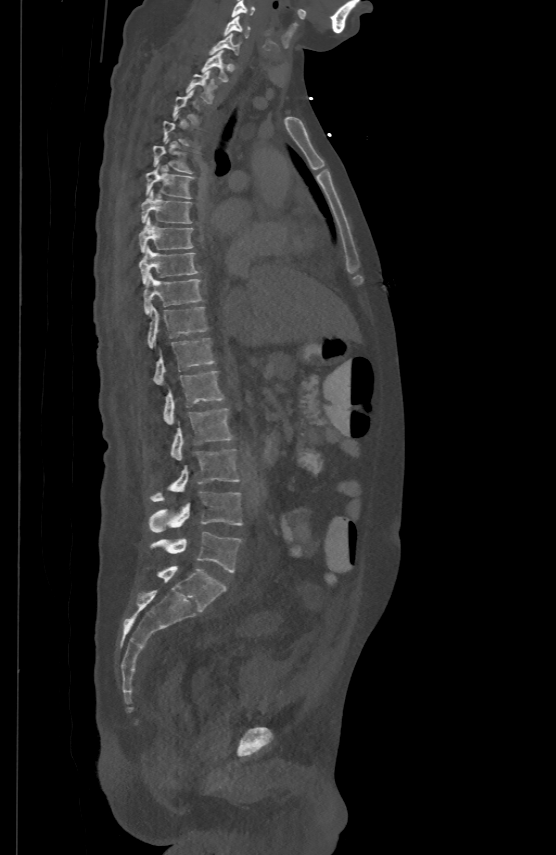 Spine computed tomography · the image is 500 mm wide · sagittal view · 556x855 px

Coordinates as <box>x1,y1,x2,y2</box>. A vertebra gets a box only on the slices from the first to the last where its cross-section is at least a third of its largest; on a slice outside that range it gets none. The labeled vertebrae in this slice are: C5 at <box>231,0,255,16</box>, C6 at <box>224,15,250,36</box>, C7 at <box>208,32,241,54</box>, T1 at <box>201,49,228,81</box>, T2 at <box>186,70,217,103</box>, T3 at <box>173,90,200,124</box>, T5 at <box>153,137,192,173</box>, T6 at <box>145,163,194,198</box>, T7 at <box>141,190,192,222</box>, T8 at <box>139,216,193,252</box>, T9 at <box>139,245,198,283</box>, T10 at <box>143,273,202,313</box>, T11 at <box>148,305,207,348</box>, T12 at <box>153,336,215,384</box>, L1 at <box>162,370,224,423</box>, L2 at <box>170,407,232,460</box>, L3 at <box>150,448,239,502</box>, L4 at <box>149,492,242,532</box>, L5 at <box>150,532,241,572</box>.